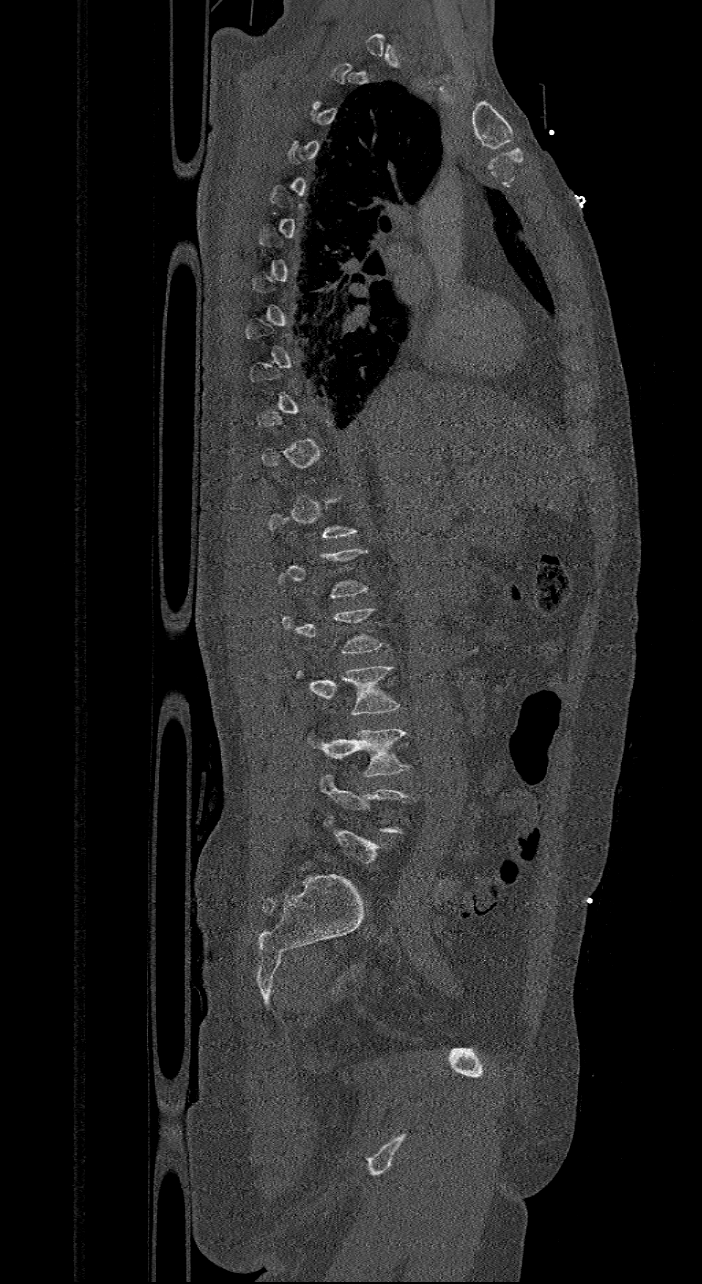 CT spine; sagittal reformat; bone-window reconstruction

Box edges are left/top/right/bottom in pixels.
A vertebra gets a box only on the slices from the first to the last where its cross-section is at least a third of its largest; on a slice outside that range it gets none.
L3: left=296, top=666, right=399, bottom=715
L4: left=307, top=728, right=409, bottom=777